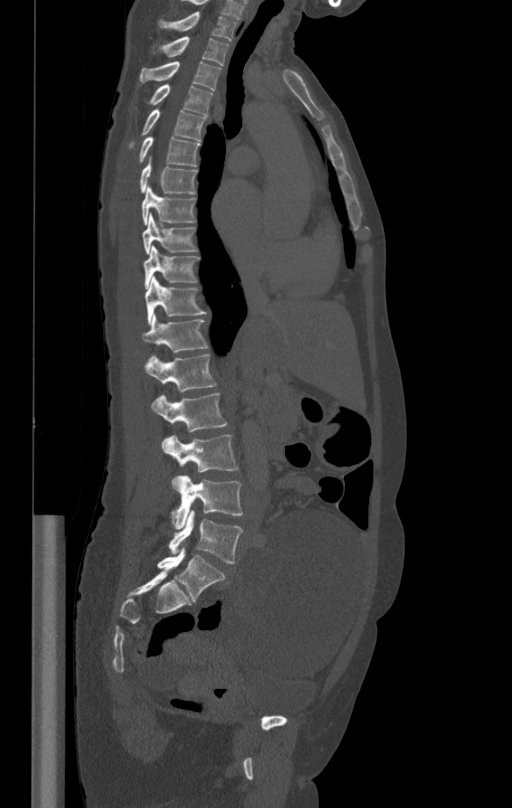

Computed tomography of the spine · sagittal view · bone-window reconstruction
Box edges are left/top/right/bottom in pixels.
T1: left=159, top=12, right=236, bottom=39
T2: left=153, top=36, right=229, bottom=65
T3: left=139, top=60, right=220, bottom=91
T4: left=149, top=84, right=213, bottom=115
T5: left=129, top=108, right=205, bottom=147
T6: left=139, top=136, right=200, bottom=167
T7: left=140, top=157, right=196, bottom=194
T8: left=142, top=186, right=195, bottom=224
T9: left=142, top=215, right=196, bottom=254
T10: left=143, top=246, right=199, bottom=288
T11: left=144, top=277, right=205, bottom=323
T12: left=143, top=315, right=208, bottom=351
L1: left=144, top=353, right=216, bottom=392
L2: left=150, top=393, right=226, bottom=431
L3: left=161, top=435, right=237, bottom=486
L4: left=171, top=475, right=242, bottom=529
L5: left=169, top=510, right=242, bottom=563